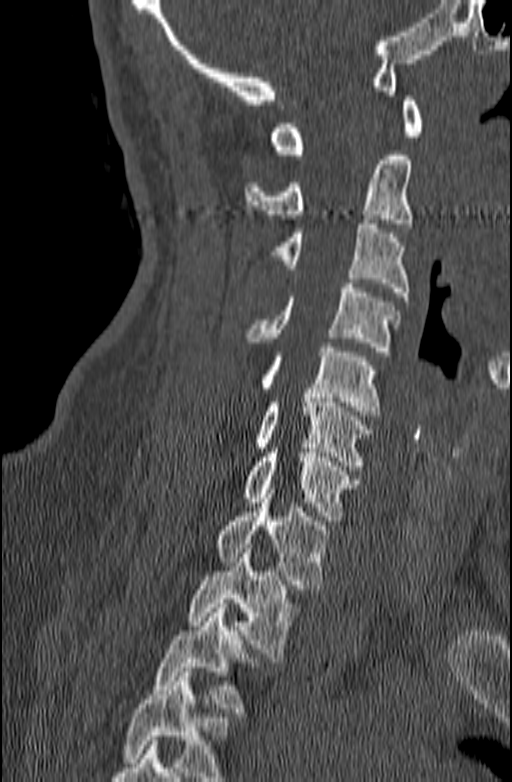
Spine CT; sagittal reformat
Boxes are given in columns x1, y1, x2, y2, the pixel coordinates of their top-left and bottom-right corners.
A vertebra cut off by the bottom edge of the scan is not labeled and has no box.
| vertebra | x1 | y1 | x2 | y2 |
|---|---|---|---|---|
| C1 | 270 | 96 | 423 | 159 |
| C2 | 244 | 155 | 413 | 223 |
| C3 | 270 | 219 | 410 | 296 |
| C4 | 246 | 283 | 399 | 356 |
| C5 | 260 | 347 | 380 | 415 |
| C6 | 253 | 393 | 373 | 465 |
| C7 | 243 | 448 | 359 | 520 |
| T1 | 213 | 489 | 332 | 589 |
| T2 | 186 | 544 | 300 | 657 |
| T3 | 152 | 603 | 263 | 712 |